Spine CT — sagittal view — W/L 1800/400 HU — 10 vertebrae labeled in this scan — 160 mm across the image
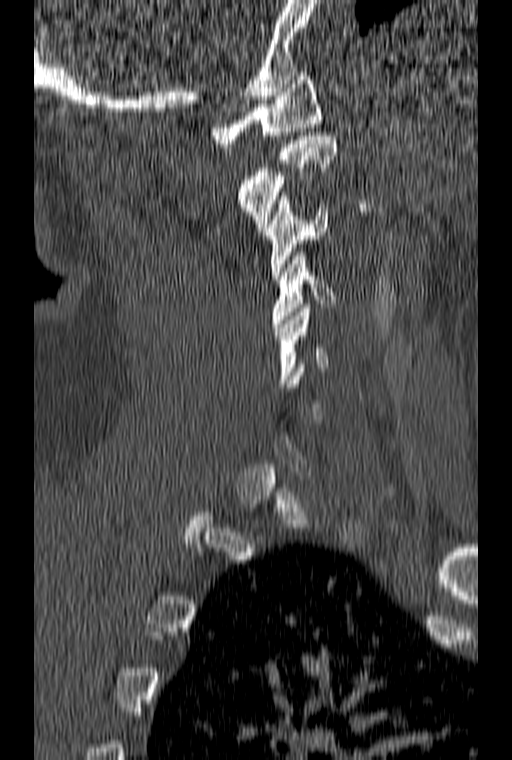
Box edges are left/top/right/bottom in pixels.
Each vertebra is boxed only on the slices from the first to the last where its cross-section reaches a third of its largest, so a slice outside that range leaves it unboxed.
| vertebra | x1 | y1 | x2 | y2 |
|---|---|---|---|---|
| C5 | 274 | 304 | 328 | 387 |
| C4 | 270 | 252 | 336 | 327 |
| C3 | 264 | 196 | 327 | 279 |
| C2 | 238 | 132 | 336 | 231 |
| C1 | 211 | 72 | 321 | 147 |